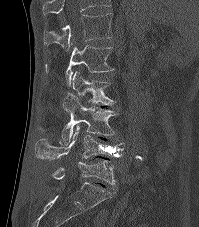
CT, spine; sagittal view; bone-window reconstruction; 199x227 px
This scan's labels start at T12 at the top and end at L5 at the bottom.
<vertebrae><v name="T12" x1="43" y1="13" x2="113" y2="51"/><v name="L1" x1="45" y1="45" x2="113" y2="86"/><v name="L2" x1="72" y1="71" x2="114" y2="105"/><v name="L3" x1="61" y1="93" x2="119" y2="145"/><v name="L4" x1="34" y1="125" x2="124" y2="160"/><v name="L5" x1="52" y1="160" x2="116" y2="184"/></vertebrae>